Spine CT; Sagittal slice 74/160; bone window; 9 vertebrae labeled in this scan; part of the image has been replaced by a constant value
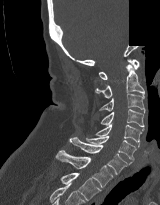 Coordinates as <box>x1,y1,x2,y2</box>.
Vertebra bounding boxes:
- C1: <box>99,59,139,79</box>
- C2: <box>95,64,144,98</box>
- C3: <box>99,94,145,112</box>
- C4: <box>100,109,144,126</box>
- C5: <box>95,124,144,147</box>
- C6: <box>86,136,136,160</box>
- C7: <box>69,137,132,174</box>
- T1: <box>55,150,113,187</box>
- T2: <box>60,173,101,200</box>